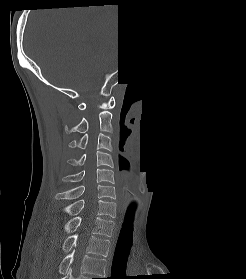

CT, spine. sagittal view. bone-window reconstruction. part of the image has been replaced by a constant value
Coordinates as <box>x1,y1,x2,y2</box>.
In this scan, the topmost labeled vertebra is C1 and the lowest is T2.
Vertebra bounding boxes:
- T2: <box>62,234,109,256</box>
- T1: <box>64,216,114,236</box>
- C7: <box>63,199,115,217</box>
- C6: <box>55,184,115,199</box>
- C5: <box>62,168,114,183</box>
- C4: <box>67,151,113,167</box>
- C3: <box>68,133,112,151</box>
- C2: <box>65,111,112,133</box>
- C1: <box>78,96,115,109</box>